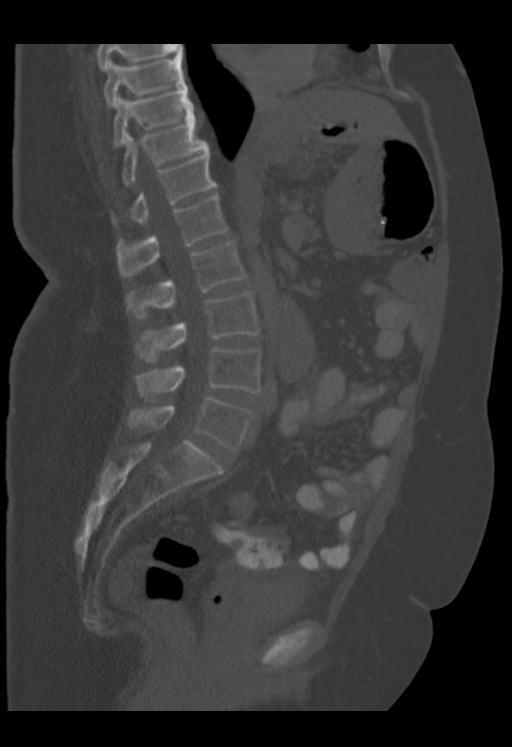
Spine computed tomography; sagittal reformat; bone window
In the table, x1 and y1 are a box's top-left corner and x2 and y2 its bottom-right corner, in pixels.
Labels in this scan begin with T9 at the top and end with L5 at the bottom.
| vertebra | x1 | y1 | x2 | y2 |
|---|---|---|---|---|
| T9 | 103 | 54 | 185 | 107 |
| T10 | 113 | 85 | 195 | 146 |
| T11 | 122 | 117 | 207 | 185 |
| T12 | 111 | 147 | 217 | 225 |
| L1 | 116 | 195 | 227 | 276 |
| L2 | 126 | 242 | 246 | 318 |
| L3 | 137 | 292 | 259 | 362 |
| L4 | 135 | 348 | 260 | 400 |
| L5 | 129 | 396 | 253 | 452 |